Computed tomography of the spine — sagittal view — Bone window (WL 400, WW 1800)
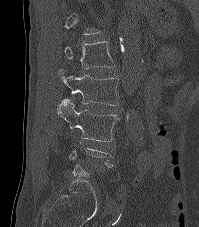 Box edges are left/top/right/bottom in pixels. A vertebra is boxed only from the first to the last slice where its cross-section is at least a third of its largest; slices outside that range leave it without a box. The labeled vertebrae in this slice are: L1 at left=64, top=41, right=114, bottom=69, L2 at left=58, top=69, right=118, bottom=105, L3 at left=57, top=99, right=119, bottom=141.